Spine CT; sagittal view; W/L 1800/400 HU
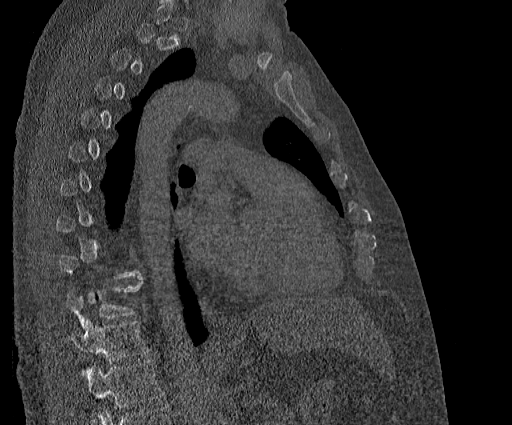
Boxes are (x1, y1, x2, y2) in pixels.
Not every vertebra on this slice has a box: a vertebra is boxed only from the first to the last slice where its cross-section is at least a third of its largest, and this slice is outside that range for at least one of them.
In this scan, the topmost labeled vertebra is T2 and the lowest is T11.
Vertebra bounding boxes:
- T11: (72, 320, 148, 374)
- T10: (65, 275, 142, 328)